Spine computed tomography · sagittal reformat · bone window · 12 vertebrae labeled in this scan
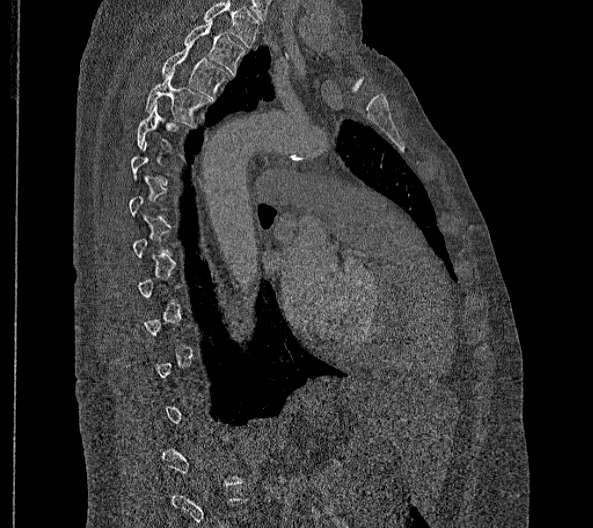

Box edges are left/top/right/bottom in pixels.
Each vertebra is boxed only on the slices from the first to the last where its cross-section reaches a third of its largest, so a slice outside that range leaves it unboxed.
Labels in this scan begin with T2 at the top and end with L2 at the bottom.
| vertebra | x1 | y1 | x2 | y2 |
|---|---|---|---|---|
| T2 | 184 | 21 | 246 | 74 |
| T3 | 161 | 41 | 230 | 99 |
| T4 | 145 | 70 | 210 | 126 |